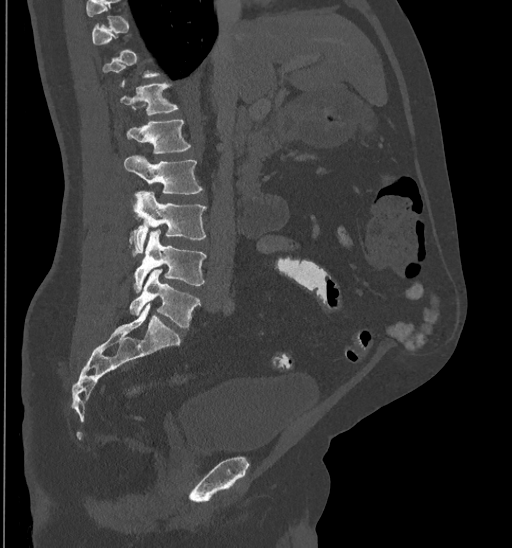

Computed tomography of the spine · sagittal view
Each vertebra is boxed only on the slices from the first to the last where its cross-section reaches a third of its largest, so a slice outside that range leaves it unboxed.
<vertebrae><v name="L5" x1="129" y1="270" x2="200" y2="327"/><v name="L4" x1="133" y1="230" x2="206" y2="292"/><v name="L3" x1="128" y1="191" x2="206" y2="255"/><v name="L2" x1="123" y1="155" x2="203" y2="194"/><v name="L1" x1="126" y1="120" x2="191" y2="154"/><v name="T12" x1="120" y1="83" x2="178" y2="114"/></vertebrae>